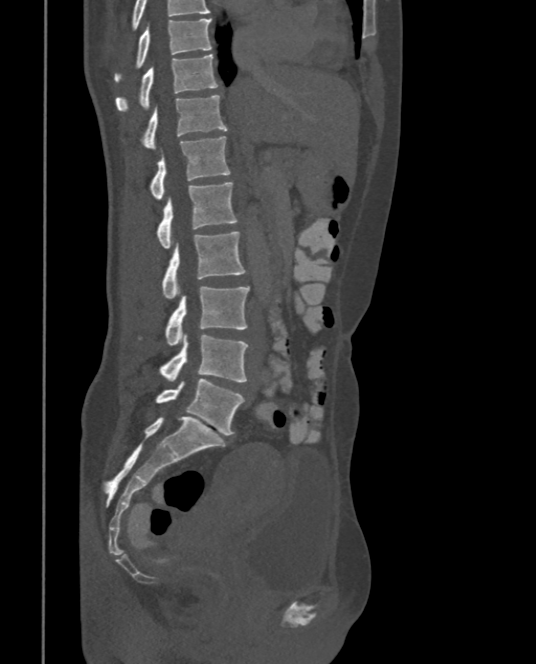
Spine computed tomography. sagittal view. W/L 1800/400 HU. 536x664 px. the image is 375 mm wide
Labels in this scan begin with T9 at the top and end with L5 at the bottom.
<vertebrae><v name="L5" x1="156" y1="378" x2="245" y2="435"/><v name="L4" x1="160" y1="334" x2="249" y2="382"/><v name="L3" x1="165" y1="286" x2="249" y2="345"/><v name="L2" x1="162" y1="231" x2="246" y2="299"/><v name="L1" x1="157" y1="181" x2="238" y2="249"/><v name="T12" x1="150" y1="136" x2="230" y2="199"/><v name="T11" x1="142" y1="94" x2="227" y2="149"/><v name="T10" x1="115" y1="54" x2="219" y2="110"/><v name="T9" x1="114" y1="18" x2="211" y2="82"/></vertebrae>